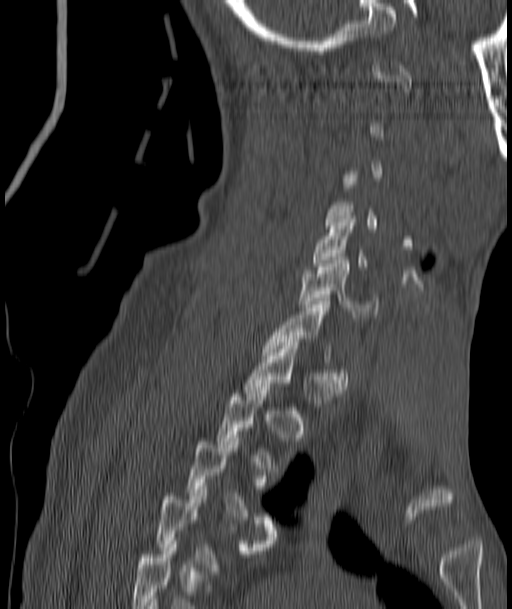 CT spine. sagittal view. bone-window reconstruction. 512x609 px. Box edges are left/top/right/bottom in pixels.
A vertebra gets a box only on the slices from the first to the last where its cross-section is at least a third of its largest; on a slice outside that range it gets none.
| vertebra | x1 | y1 | x2 | y2 |
|---|---|---|---|---|
| C5 | 313 | 219 | 367 | 269 |
| C6 | 299 | 260 | 378 | 317 |